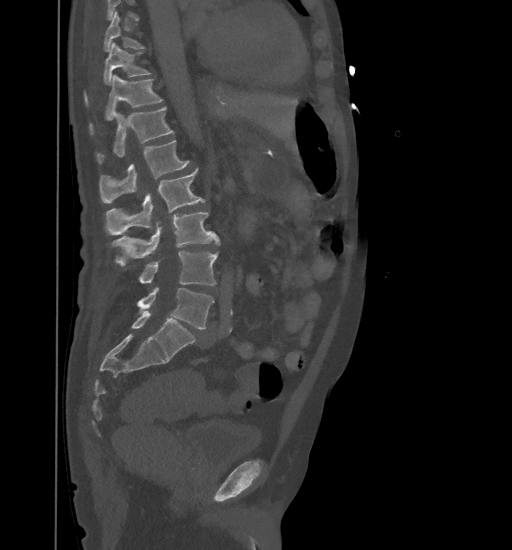

CT spine. sagittal view. 512x550 px. Box edges are left/top/right/bottom in pixels. Where the top of the scan cuts through a vertebra, that vertebra gets no label or box. Vertebrae labeled: L5 at left=137, top=288, right=214, bottom=330, L4 at left=139, top=251, right=217, bottom=286, L3 at left=111, top=212, right=219, bottom=265, L2 at left=105, top=169, right=205, bottom=235, L1 at left=100, top=140, right=190, bottom=202, T12 at left=96, top=107, right=173, bottom=162, T11 at left=89, top=75, right=162, bottom=135, T10 at left=85, top=42, right=151, bottom=104, T9 at left=103, top=12, right=144, bottom=51.